Spine computed tomography · sagittal view · 512x689 px · scan covers 6 annotated vertebrae · 350 mm across the image
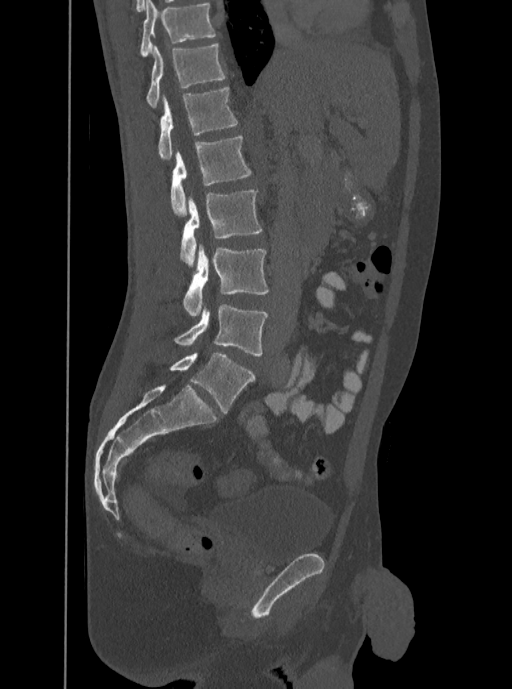
Each box given as x1,y1,x2,y2. In this scan, the topmost labeled vertebra is T12 and the lowest is L5. 6 vertebrae labeled — T12 at x1=146, y1=43, x2=226, y2=108; L1 at x1=158, y1=87, x2=237, y2=160; L2 at x1=171, y1=136, x2=252, y2=216; L3 at x1=180, y1=190, x2=262, y2=268; L4 at x1=183, y1=244, x2=268, y2=316; L5 at x1=174, y1=304, x2=268, y2=356.